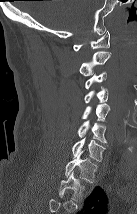 CT, spine; sagittal view; 137x214 px
Boxes below are [x1, y1, x2, y2] in pixels.
This scan's labels start at C1 at the top and end at T2 at the bottom.
{"vertebrae":{"C1":[73,30,109,51],"C2":[79,51,111,75],"C3":[85,71,106,89],"C4":[84,86,108,103],"C5":[81,103,110,123],"C6":[77,120,107,143],"C7":[72,138,105,161],"T1":[65,150,97,182],"T2":[59,172,84,201]}}